Spine computed tomography · sagittal plane, index 248 · image width 412 mm
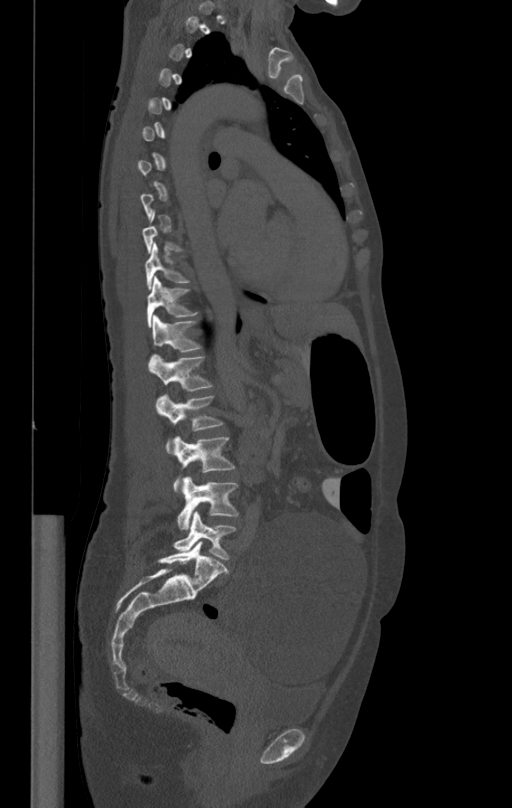 Each box is [x1, y1, x2, y2] in pixels: top-left corner, then bottom-right corner.
Each vertebra is boxed only on the slices from the first to the last where its cross-section reaches a third of its largest, so a slice outside that range leaves it unboxed.
{"vertebrae":{"T10":[144,244,189,289],"T11":[147,277,198,327],"T12":[151,315,200,351],"L1":[149,356,213,390],"L2":[155,395,223,453],"L3":[173,436,235,491],"L4":[178,476,237,529],"L5":[174,511,235,559]}}